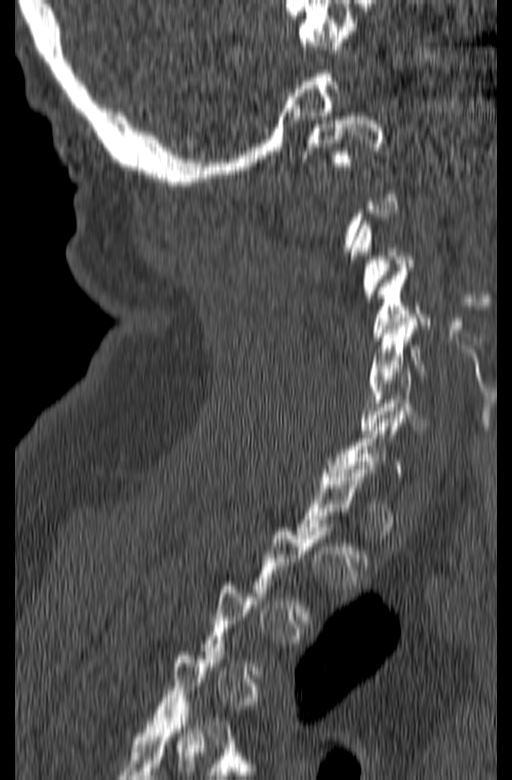 CT, spine; sagittal view; bone window

Boxes are (x1, y1, x2, y2) in pixels. A vertebra gets a box only on the slices from the first to the last where its cross-section is at least a third of its largest; on a slice outside that range it gets none. Vertebrae labeled: C1 at (302, 112, 383, 166), C4 at (373, 268, 429, 340), C5 at (369, 318, 447, 387), C6 at (359, 368, 432, 433).